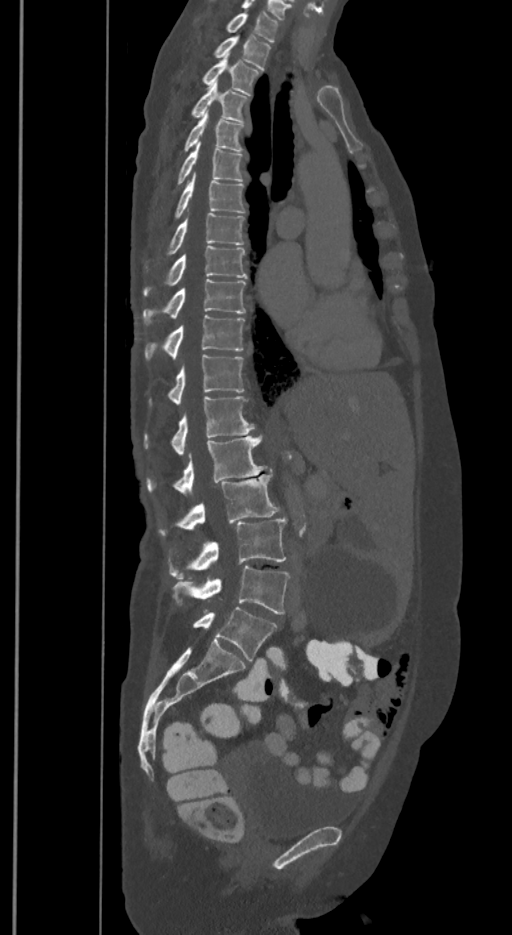

Spine computed tomography — sagittal reformat — 350 mm across the image — bone-window reconstruction

Boxes: x1 y1 x2 y2 (pixel coords, space-separated).
In these labels the spine has an L6, a sixth lumbar vertebra below L5.
T1: 227 11 277 41
T2: 215 34 269 69
T3: 203 53 258 94
T4: 191 82 246 120
T5: 184 112 243 152
T6: 178 142 242 183
T7: 175 172 245 218
T8: 169 212 243 253
T9: 145 246 246 295
T10: 143 279 245 324
T11: 145 315 245 358
T12: 149 354 243 406
L1: 145 396 253 456
L2: 148 436 266 497
L3: 161 474 278 534
L4: 169 517 285 578
L5: 175 566 288 614
L6: 193 607 277 660